Spine computed tomography. Sagittal slice 303/512. bone window. 512x696 px
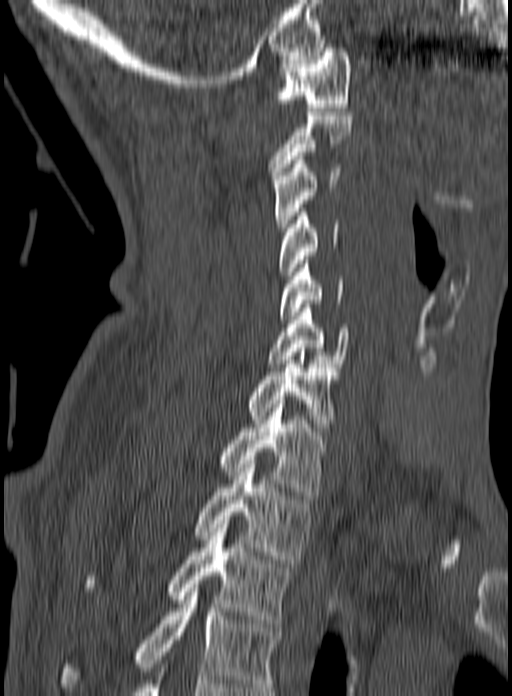
Boxes are given in columns x1, y1, x2, y2, the pixel coordinates of their top-left and bottom-right corners.
In this scan, the topmost labeled vertebra is C1 and the lowest is T3.
| vertebra | x1 | y1 | x2 | y2 |
|---|---|---|---|---|
| T3 | 86 | 516 | 291 | 623 |
| T2 | 196 | 464 | 311 | 559 |
| T1 | 219 | 400 | 334 | 499 |
| C7 | 248 | 348 | 336 | 431 |
| C6 | 267 | 304 | 350 | 367 |
| C5 | 279 | 260 | 343 | 319 |
| C4 | 280 | 208 | 339 | 279 |
| C3 | 273 | 156 | 341 | 231 |
| C2 | 268 | 112 | 353 | 179 |
| C1 | 276 | 48 | 351 | 111 |